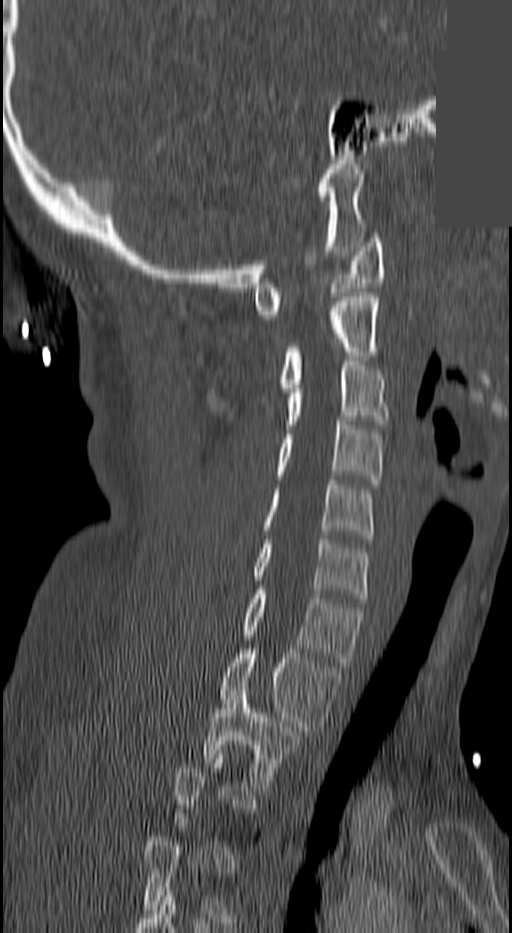 CT · sagittal view · bone window · some of the image was removed or blocked out with constant pixels
Boxes: x1:y1:x2:y2 in pixels. Not every vertebra on this slice has a box: a vertebra is boxed only from the first to the last slice where its cross-section is at least a third of its largest, and this slice is outside that range for at least one of them. 9 vertebrae labeled — C1 at 254:238:384:319; C2 at 279:293:381:392; C3 at 284:361:389:429; C4 at 276:421:384:484; C5 at 261:480:373:543; C6 at 254:539:366:602; C7 at 243:590:362:666; T1 at 221:649:340:735; T2 at 202:690:298:790.